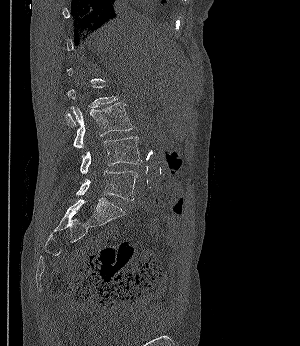 CT · sagittal view · 300x346 px
Columns x1, y1, x2, y2 give each box's top-left and bottom-right pixels.
Each vertebra is boxed only on the slices from the first to the last where its cross-section reaches a third of its largest, so a slice outside that range leaves it unboxed.
| vertebra | x1 | y1 | x2 | y2 |
|---|---|---|---|---|
| L3 | 65 | 102 | 133 | 148 |
| L4 | 80 | 136 | 142 | 174 |
| L5 | 76 | 170 | 139 | 200 |